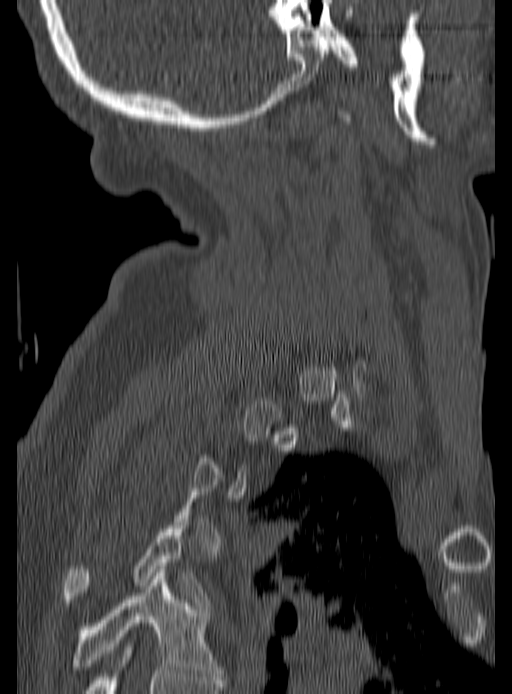 Computed tomography of the spine; sagittal view
Boxes: x1 y1 x2 y2 (pixel coords, space-separated).
A vertebra is boxed only from the first to the last slice where its cross-section is at least a third of its largest; slices outside that range leave it without a box.
Vertebra bounding boxes:
- T4: 63 522 207 605
- T5: 71 569 221 679